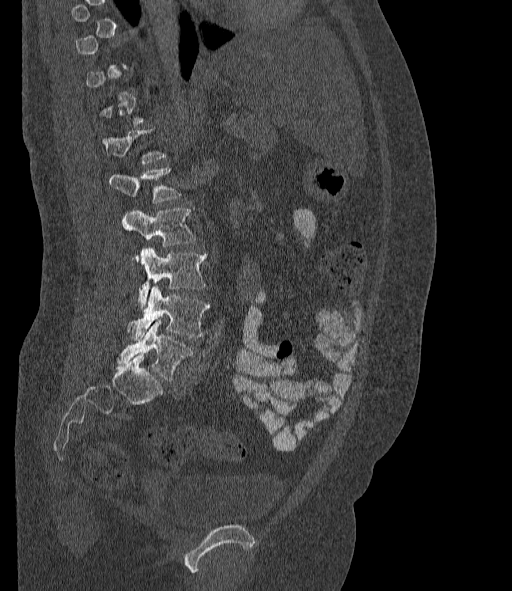

CT. the image spans 377 mm across. sagittal view. bone-window reconstruction. 512x591 px
Bounding boxes as [x1, y1, x2, y2] in pixel coordinates. Not every vertebra on this slice has a box: a vertebra is boxed only from the first to the last slice where its cross-section is at least a third of its largest, and this slice is outside that range for at least one of them. In these labels the spine has an L6, a sixth lumbar vertebra below L5. 5 vertebrae labeled — L2 at [110, 167, 179, 203]; L3 at [122, 208, 194, 246]; L4 at [137, 247, 205, 307]; L5 at [127, 287, 209, 340]; L6 at [117, 321, 192, 381].